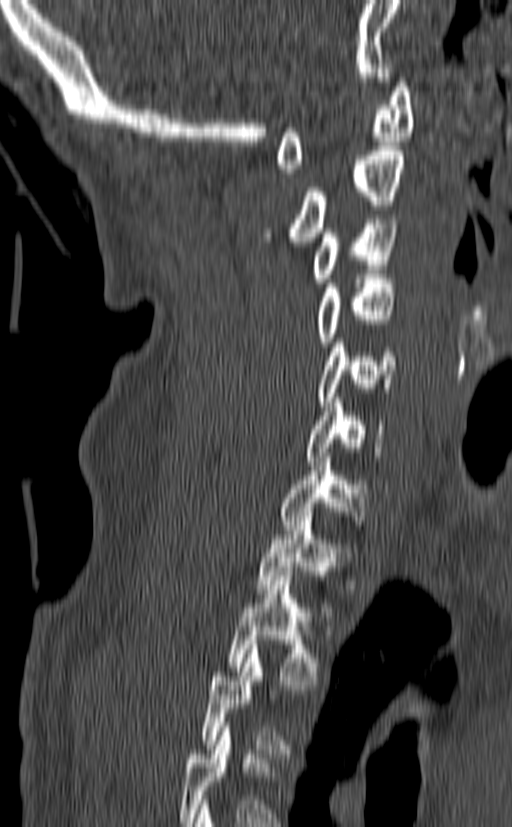 Spine CT; sagittal view; 512x827 px. Bounding boxes as [x1, y1, x2, y2] in pixel coordinates. A vertebra gets a box only on the slices from the first to the last where its cross-section is at least a third of its largest; on a slice outside that range it gets none. 9 vertebrae labeled — C1 at [276, 78, 414, 173]; C2 at [261, 146, 406, 246]; C3 at [312, 219, 398, 287]; C4 at [316, 274, 396, 346]; C5 at [318, 338, 397, 406]; C6 at [305, 398, 385, 461]; C7 at [279, 453, 366, 534]; T1 at [257, 512, 352, 612]; T2 at [228, 571, 319, 685].